CT, spine; sagittal view; bone-window reconstruction; scan covers 12 annotated vertebrae; 140 mm across the image
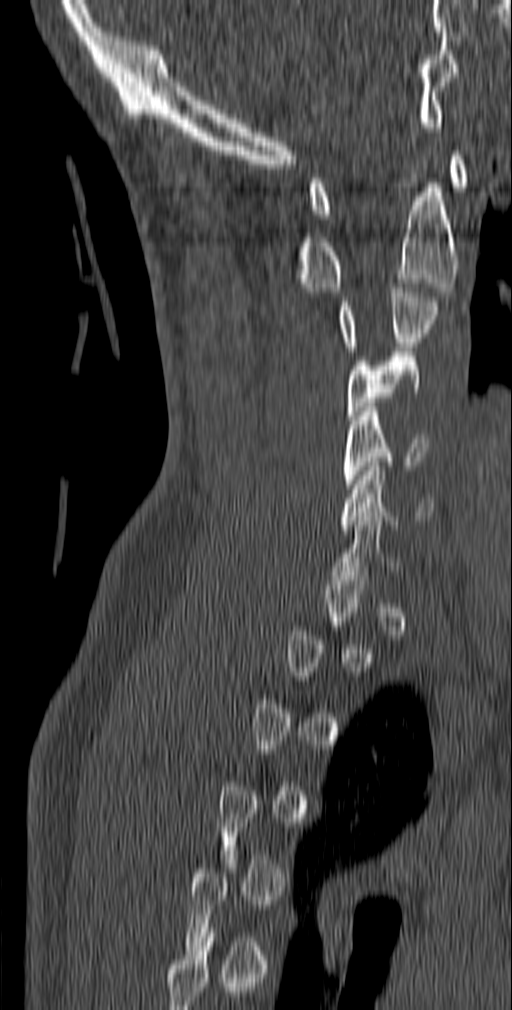

Coordinates as <box>x1,y1,x2,y2</box>.
A vertebra gets a box only on the slices from the first to the last where its cross-section is at least a third of its largest; on a slice outside that range it gets none.
C1: <box>309,151,468,218</box>
C2: <box>297,174,458,292</box>
C3: <box>338,283,439,351</box>
C4: <box>347,352,421,420</box>
C5: <box>344,407,430,488</box>
C6: <box>340,462,433,529</box>